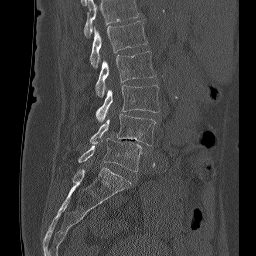
CT; sagittal view; 256x256 px
Boxes: x1:y1:x2:y2 in pixels.
This scan's labels start at L1 at the top and end at L5 at the bottom.
Vertebra bounding boxes:
- L1: 90:21:147:68
- L2: 95:51:156:96
- L3: 95:84:159:122
- L4: 89:114:156:145
- L5: 78:137:142:172